Spine computed tomography — sagittal view — bone-window reconstruction
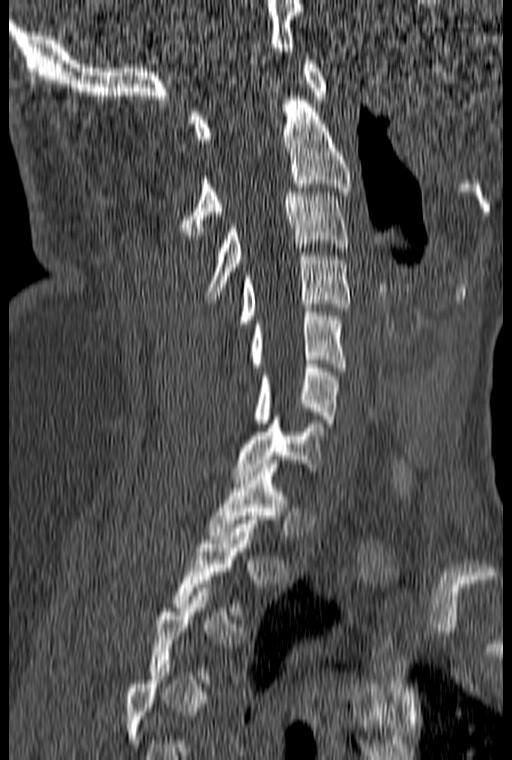 Box values are [left, top, right, bottom] in pixels.
Each vertebra is boxed only on the slices from the first to the last where its cross-section reaches a third of its largest, so a slice outside that range leaves it unboxed.
{"vertebrae":{"C1":[189,60,327,143],"C2":[179,100,352,235],"C3":[206,192,349,299],"C4":[235,252,349,327],"C5":[249,308,346,371],"C6":[253,360,339,423],"C7":[234,416,323,479],"T1":[208,464,288,539],"T2":[174,520,257,615]}}